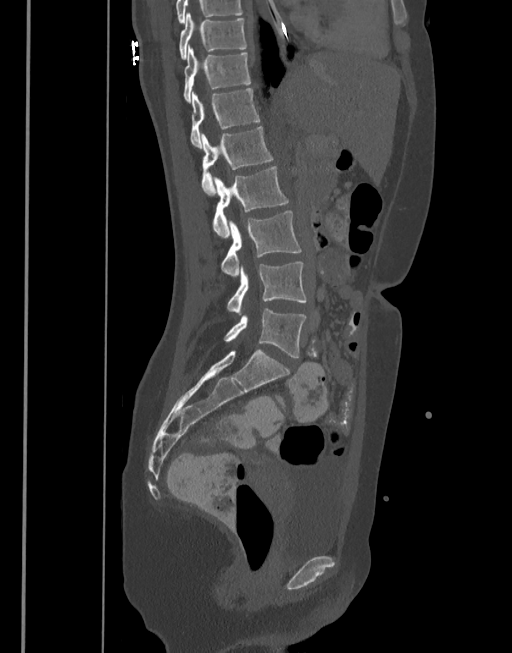
Spine CT — the image spans 377 mm across — sagittal view
<vertebrae><v name="T10" x1="179" y1="13" x2="246" y2="59"/><v name="T11" x1="183" y1="44" x2="250" y2="102"/><v name="T12" x1="190" y1="88" x2="260" y2="148"/><v name="L1" x1="201" y1="126" x2="273" y2="196"/><v name="L2" x1="213" y1="166" x2="288" y2="237"/><v name="L3" x1="221" y1="210" x2="302" y2="276"/><v name="L4" x1="227" y1="262" x2="306" y2="314"/><v name="L5" x1="224" y1="308" x2="306" y2="357"/></vertebrae>